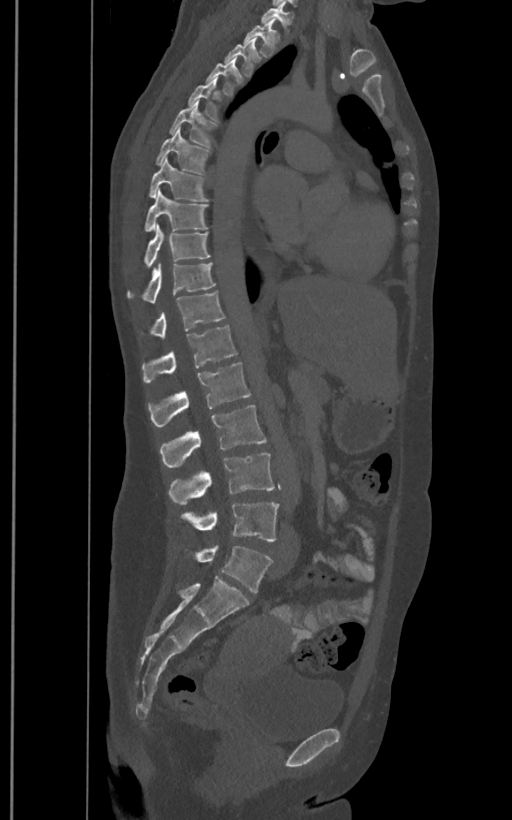
CT · sagittal view · Bone window (WL 400, WW 1800)
The labels name a sixth lumbar vertebra for this spine: L6, after L5.
<vertebrae><v name="T1" x1="261" y1="6" x2="292" y2="24"/><v name="T2" x1="244" y1="18" x2="280" y2="57"/><v name="T3" x1="225" y1="38" x2="261" y2="76"/><v name="T4" x1="206" y1="56" x2="243" y2="95"/><v name="T5" x1="188" y1="77" x2="217" y2="118"/><v name="T6" x1="169" y1="100" x2="215" y2="148"/><v name="T7" x1="156" y1="128" x2="209" y2="173"/><v name="T8" x1="148" y1="158" x2="207" y2="201"/><v name="T9" x1="144" y1="189" x2="207" y2="231"/><v name="T10" x1="144" y1="223" x2="210" y2="266"/><v name="T11" x1="128" y1="263" x2="215" y2="302"/><v name="T12" x1="150" y1="291" x2="225" y2="338"/><v name="L1" x1="142" y1="325" x2="237" y2="383"/><v name="L2" x1="148" y1="362" x2="250" y2="426"/><v name="L3" x1="160" y1="406" x2="266" y2="468"/><v name="L4" x1="169" y1="453" x2="274" y2="505"/><v name="L5" x1="182" y1="503" x2="279" y2="542"/><v name="L6" x1="196" y1="545" x2="273" y2="592"/></vertebrae>